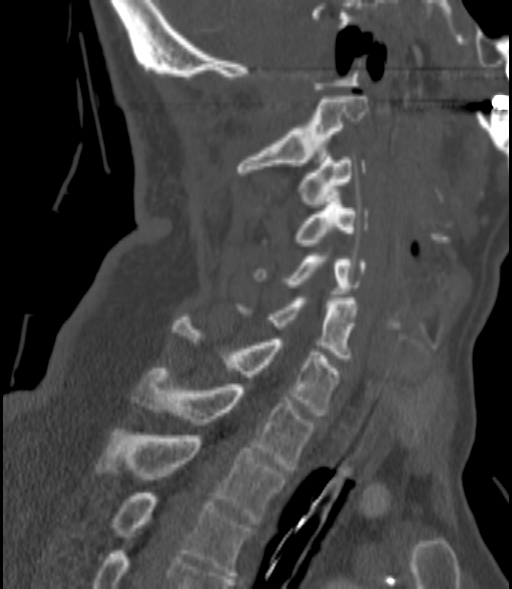 Spine computed tomography; sagittal view

<vertebrae><v name="C2" x1="237" y1="96" x2="368" y2="172"/><v name="C3" x1="298" y1="157" x2="366" y2="207"/><v name="C4" x1="293" y1="198" x2="368" y2="245"/><v name="C5" x1="252" y1="256" x2="366" y2="297"/><v name="C6" x1="236" y1="298" x2="356" y2="361"/><v name="C7" x1="172" y1="317" x2="340" y2="415"/><v name="T1" x1="131" y1="368" x2="315" y2="469"/><v name="T2" x1="96" y1="429" x2="287" y2="524"/><v name="T3" x1="113" y1="493" x2="251" y2="578"/></vertebrae>